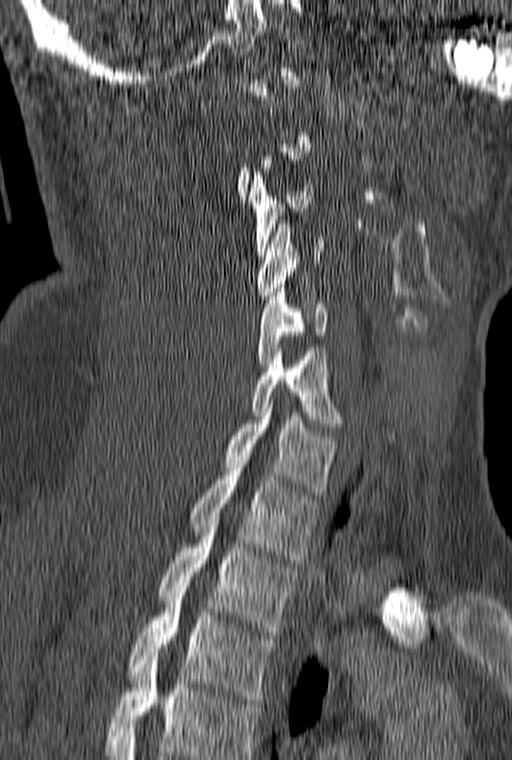
Spine computed tomography — sagittal reformat — 160 mm image width — W/L 1800/400 HU. Boxes: x1 y1 x2 y2 (pixel coords, space-separated). A vertebra gets a box only on the slices from the first to the last where its cross-section is at least a third of its largest; on a slice outside that range it gets none. This scan's labels start at C1 at the top and end at T3 at the bottom. The labeled vertebrae in this slice are: T3 at 129 592 275 703, T2 at 158 520 298 635, T1 at 190 464 319 563, C7 at 225 400 336 495, C6 at 251 348 343 427, C5 at 257 288 327 367, C4 at 257 220 323 299, C3 at 248 168 313 255.